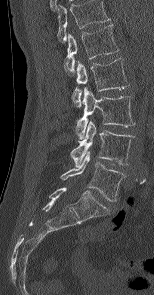 CT spine · sagittal view · W/L 1800/400 HU · the image spans 154 mm across · 154x295 px
Labels in this scan begin with L1 at the top and end with L5 at the bottom.
<vertebrae><v name="L1" x1="64" y1="24" x2="119" y2="72"/><v name="L2" x1="73" y1="58" x2="128" y2="106"/><v name="L3" x1="76" y1="87" x2="135" y2="139"/><v name="L4" x1="70" y1="121" x2="132" y2="167"/><v name="L5" x1="61" y1="151" x2="125" y2="201"/></vertebrae>